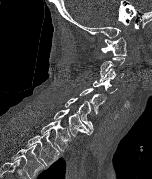 CT, spine — sagittal view — bone-window reconstruction
Boxes: x1:y1:x2:y2 in pixels.
A vertebra is boxed only from the first to the last slice where its cross-section is at least a third of its largest; slices outside that range leave it without a box.
This scan's labels start at C1 at the top and end at T2 at the bottom.
T2: 26:131:59:165
T1: 41:119:71:151
C7: 53:109:90:136
C6: 65:98:93:133
C5: 80:88:105:114
C4: 93:79:117:93
C3: 99:67:123:82
C1: 101:36:126:56